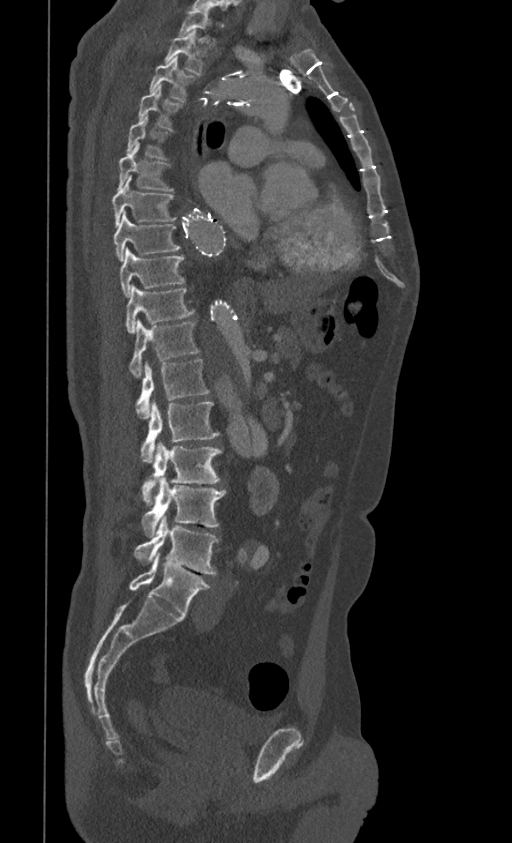

CT · the image spans 399 mm across · sagittal view
Box edges are left/top/right/bottom in pixels.
T1: left=178, top=10, right=216, bottom=46
T2: left=163, top=30, right=205, bottom=75
T3: left=149, top=58, right=198, bottom=102
T4: left=137, top=84, right=182, bottom=130
T5: left=126, top=115, right=170, bottom=160
T6: left=117, top=146, right=173, bottom=192
T7: left=113, top=177, right=176, bottom=227
T8: left=113, top=210, right=180, bottom=261
T9: left=119, top=247, right=185, bottom=297
T10: left=126, top=285, right=194, bottom=333
T11: left=128, top=320, right=199, bottom=377
T12: left=135, top=359, right=209, bottom=418
L1: left=141, top=402, right=220, bottom=462
L2: left=141, top=442, right=222, bottom=505
L3: left=141, top=476, right=226, bottom=537
L4: left=135, top=515, right=218, bottom=574
L5: left=129, top=553, right=212, bottom=616